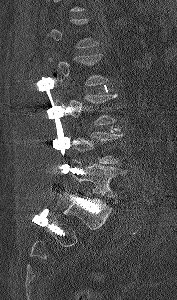
CT, spine · sagittal view · 177x300 px
A vertebra is boxed only from the first to the last slice where its cross-section is at least a third of its largest; slices outside that range leave it without a box.
<vertebrae><v name="L2" x1="49" y1="54" x2="108" y2="85"/><v name="L3" x1="60" y1="94" x2="117" y2="125"/><v name="L4" x1="67" y1="132" x2="122" y2="163"/><v name="L5" x1="70" y1="160" x2="125" y2="199"/></vertebrae>